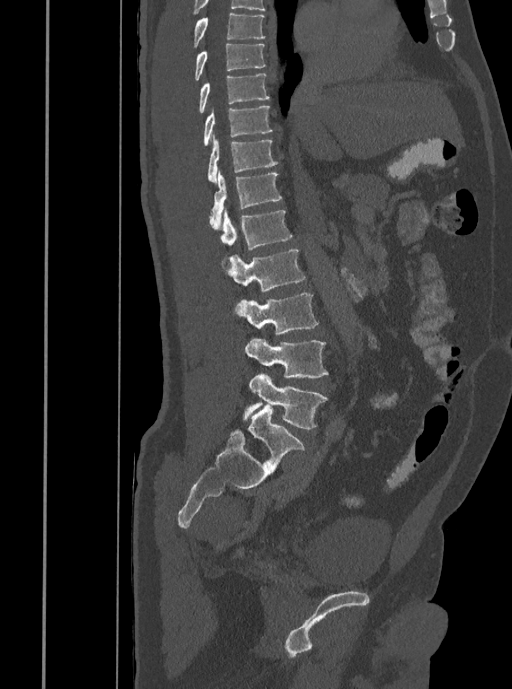

Spine CT; sagittal reformat; bone window; 512x689 px
Box values are [left, top, right, bottom] in pixels.
{"vertebrae":{"T7":[193,12,265,46],"T8":[194,44,265,79],"T9":[198,73,269,113],"T10":[204,105,272,145],"T11":[208,136,277,183],"T12":[209,169,281,229],"L1":[218,210,291,250],"L2":[223,248,305,292],"L3":[235,293,318,334],"L4":[245,339,328,378],"L5":[243,374,326,428]}}